Computed tomography of the spine · sagittal plane, index 266 · bone-window reconstruction · scan covers 17 annotated vertebrae
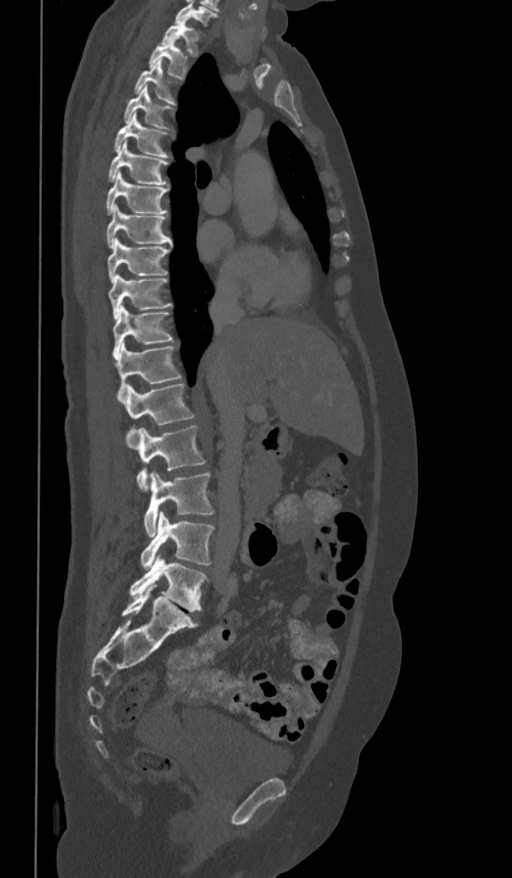 Boxes below are [x1, y1, x2, y2] in pixels.
This scan's labels start at T1 at the top and end at L5 at the bottom.
{"vertebrae":{"L5":[129,555,207,612],"L4":[140,511,214,568],"L3":[143,471,214,535],"L2":[136,425,206,490],"L1":[122,383,195,446],"T12":[115,343,182,401],"T11":[113,305,172,358],"T10":[109,274,172,318],"T9":[108,239,169,281],"T8":[106,204,172,248],"T7":[105,172,169,213],"T6":[108,140,169,188],"T5":[113,114,168,157],"T4":[123,86,171,129],"T3":[135,60,176,105],"T2":[149,40,189,79],"T1":[161,18,199,56]}}